Computed tomography of the spine — Sagittal slice 270/512 — bone-window reconstruction — 18 vertebrae labeled in this scan
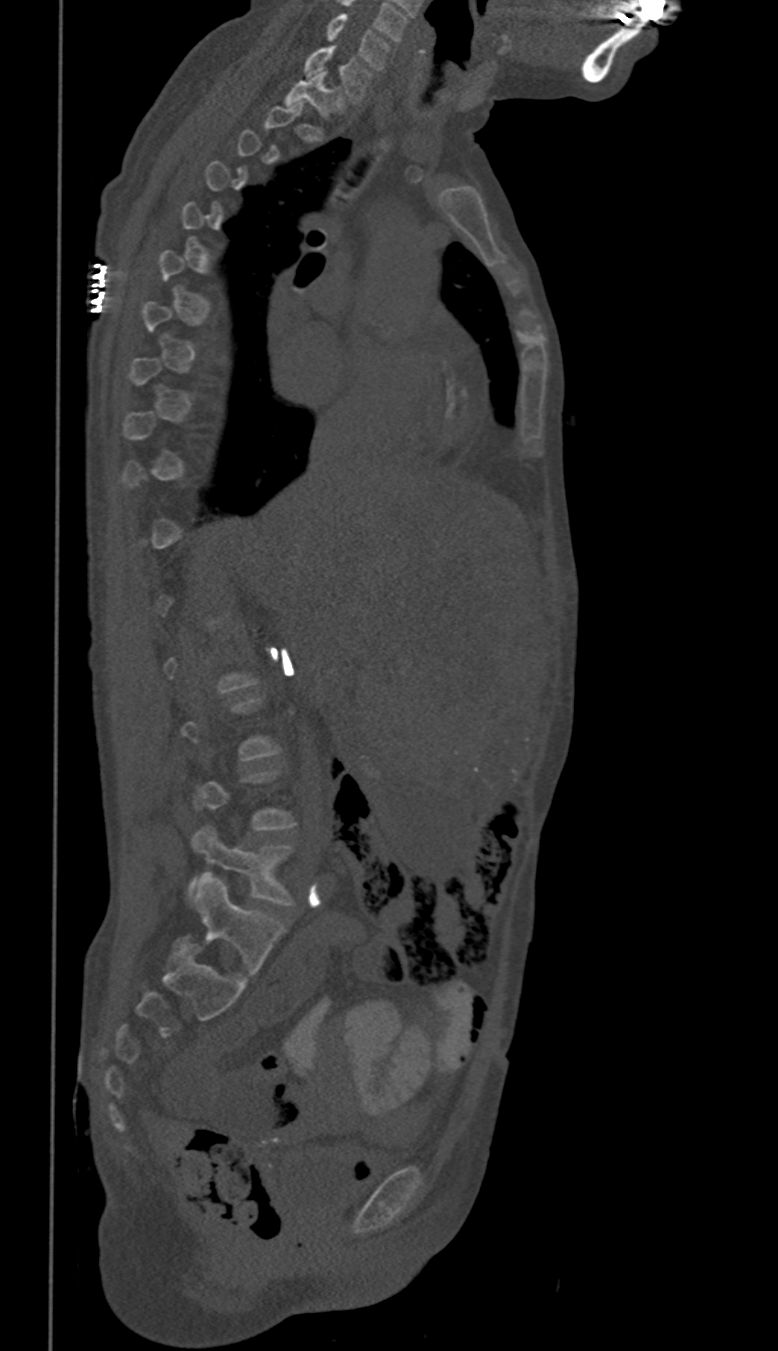

Boxes: x1 y1 x2 y2 (pixel coords, space-separated).
Each vertebra is boxed only on the slices from the first to the last where its cross-section reaches a third of its largest, so a slice outside that range leaves it unboxed.
Vertebra bounding boxes:
- C6: 324 14 388 68
- C7: 304 47 370 102
- T1: 284 72 341 113
- L5: 188 825 292 904